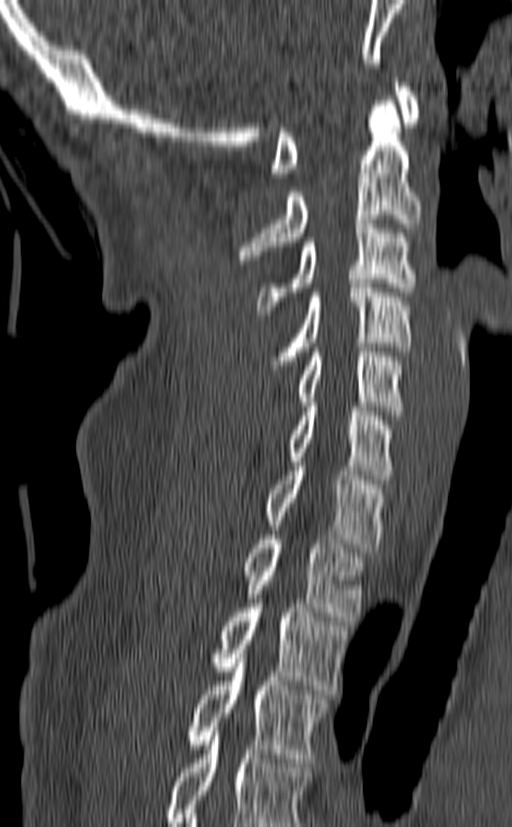

CT, spine · sagittal view · W/L 1800/400 HU · 512x827 px
Box values are [left, top, right, bottom] in pixels.
Labels in this scan begin with C1 at the top and end with T3 at the bottom.
{"vertebrae":{"C1":[271,78,421,177],"C2":[238,101,421,260],"C3":[257,219,416,314],"C4":[265,283,414,374],"C5":[294,347,406,415],"C6":[287,402,395,484],"C7":[265,462,388,552],"T1":[243,535,366,621],"T2":[210,599,348,694],"T3":[184,654,329,762]}}